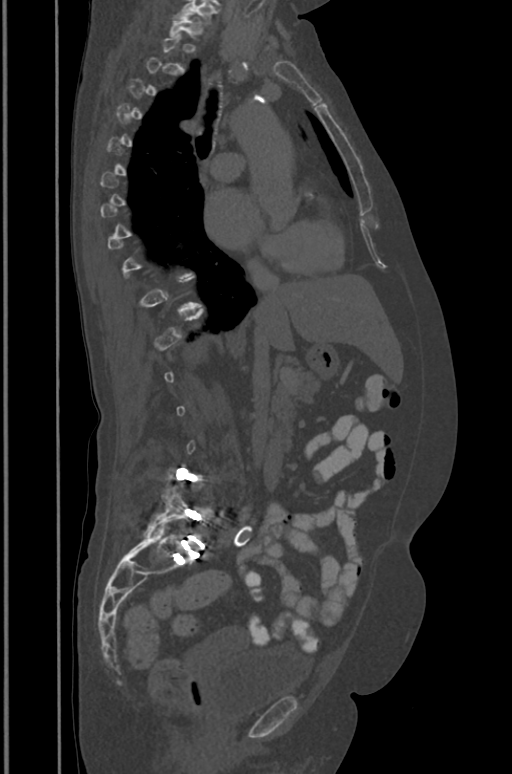

CT — sagittal view — 512x774 px

Bounding boxes as [x1, y1, x2, y2] in pixel coordinates.
Each vertebra is boxed only on the slices from the first to the last where its cross-section reaches a third of its largest, so a slice outside that range leaves it unboxed.
This scan's labels start at T1 at the top and end at L5 at the bottom.
Vertebra bounding boxes:
- T1: [170, 14, 202, 37]
- L5: [148, 485, 211, 547]